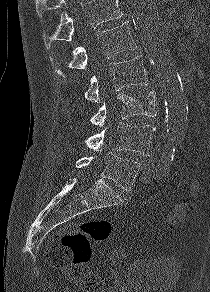

Spine computed tomography. the image spans 210 mm across. sagittal view

Boxes: x1:y1:x2:y2 in pixels. Where the top of the scan cuts through a vertebra, that vertebra gets no label or box. 5 vertebrae labeled — L1 at 50:21:136:77; L2 at 84:55:147:103; L3 at 89:91:156:126; L4 at 85:122:155:155; L5 at 75:152:141:191.